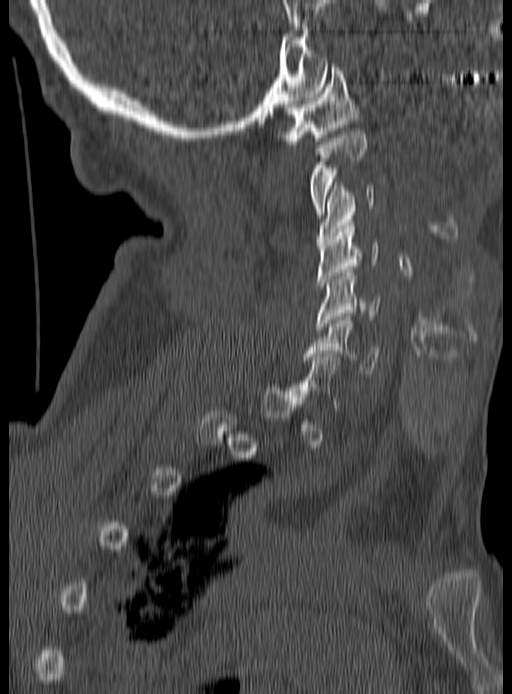 CT spine · sagittal view · bone window · 512x694 px

Box edges are left/top/right/bottom in pixels.
A vertebra is boxed only from the first to the last slice where its cross-section is at least a third of its largest; slices outside that range leave it without a box.
Vertebra bounding boxes:
- C1: left=278, top=64, right=358, bottom=144
- C2: left=311, top=131, right=366, bottom=215
- C3: left=316, top=182, right=374, bottom=245
- C4: left=316, top=222, right=377, bottom=289
- C5: left=316, top=269, right=380, bottom=332
- C6: left=303, top=317, right=379, bottom=376